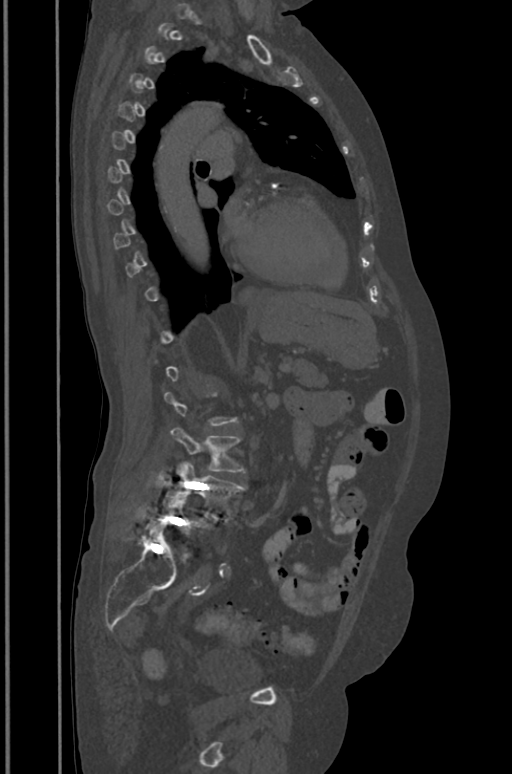 Spine computed tomography. sagittal view. the image spans 391 mm across. bone window
A vertebra is boxed only from the first to the last slice where its cross-section is at least a third of its largest; slices outside that range leave it without a box.
<vertebrae><v name="L3" x1="170" y1="428" x2="244" y2="472"/><v name="L4" x1="164" y1="462" x2="242" y2="518"/><v name="L5" x1="157" y1="495" x2="207" y2="533"/></vertebrae>